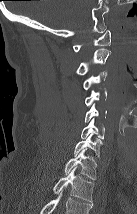

Computed tomography of the spine — sagittal view — image width 137 mm — W/L 1800/400 HU
This scan's labels start at C1 at the top and end at T2 at the bottom.
<vertebrae><v name="C1" x1="73" y1="30" x2="110" y2="52"/><v name="C2" x1="76" y1="48" x2="111" y2="75"/><v name="C3" x1="83" y1="71" x2="107" y2="89"/><v name="C4" x1="85" y1="90" x2="106" y2="107"/><v name="C5" x1="85" y1="103" x2="106" y2="122"/><v name="C6" x1="81" y1="118" x2="105" y2="140"/><v name="C7" x1="74" y1="134" x2="102" y2="158"/><v name="T1" x1="64" y1="148" x2="97" y2="179"/><v name="T2" x1="53" y1="165" x2="93" y2="202"/></vertebrae>